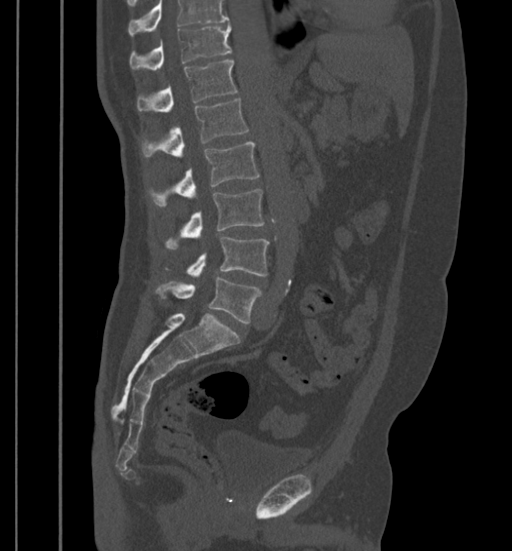 CT spine — sagittal view — bone window
Each box given as x1,y1,x2,y2.
A vertebra cut off by the top edge of the scan is not labeled and has no box.
Vertebra bounding boxes:
- T11: x1=129, y1=24, x2=231, y2=71
- T12: x1=137, y1=60, x2=238, y2=112
- L1: x1=141, y1=99, x2=249, y2=159
- L2: x1=147, y1=142, x2=259, y2=206
- L3: x1=164, y1=188, x2=264, y2=248
- L4: x1=165, y1=236, x2=268, y2=276
- L5: x1=155, y1=277, x2=261, y2=323